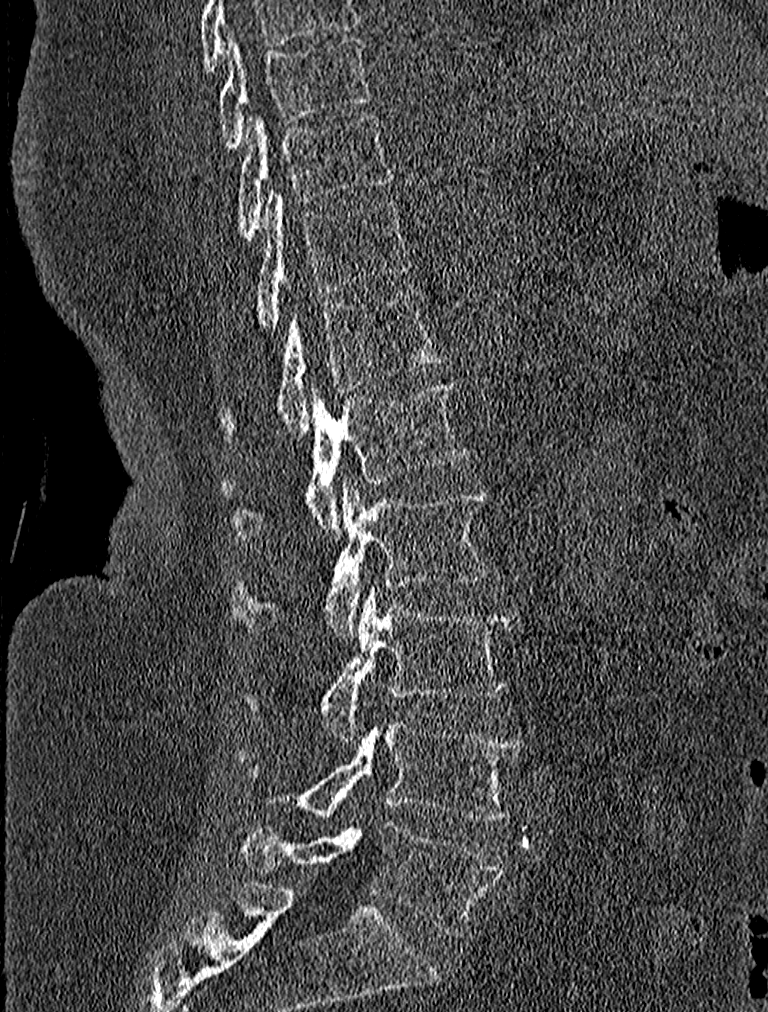

CT spine — sagittal view — 227 mm image width
Boxes: x1:y1:x2:y2 in pixels.
This scan's labels start at T9 at the top and end at L5 at the bottom.
Vertebra bounding boxes:
- T9: 215:38:370:148
- T10: 236:111:394:240
- T11: 253:190:411:331
- T12: 219:288:444:442
- L1: 224:382:468:543
- L2: 229:477:492:640
- L3: 242:586:519:739
- L4: 239:722:523:820
- L5: 236:821:502:935